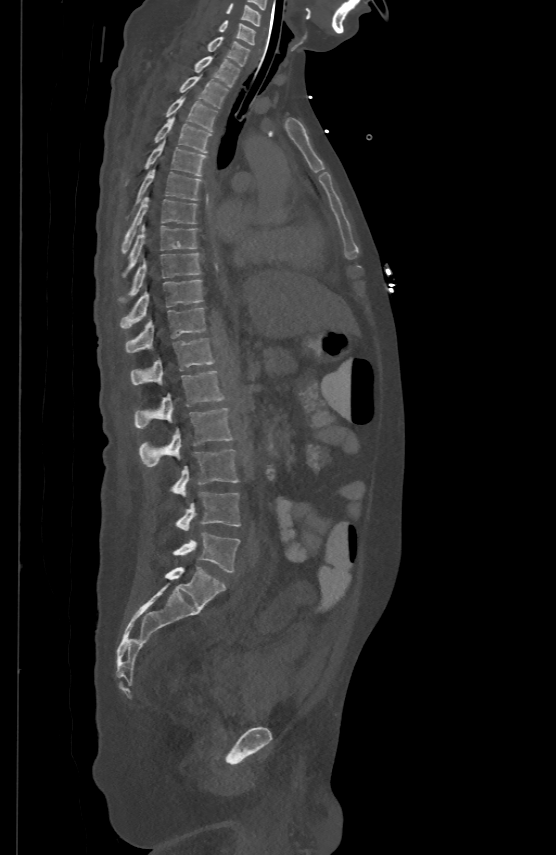

Spine computed tomography · sagittal reformat · W/L 1800/400 HU · 556x855 px
In the table, x1 and y1 are a box's top-left corner and x2 and y2 its bottom-right corner, in pixels.
| vertebra | x1 | y1 | x2 | y2 |
|---|---|---|---|---|
| C5 | 227 | 2 | 261 | 24 |
| C6 | 217 | 20 | 255 | 43 |
| C7 | 207 | 35 | 249 | 65 |
| T1 | 194 | 55 | 239 | 85 |
| T2 | 180 | 73 | 228 | 106 |
| T3 | 166 | 94 | 217 | 130 |
| T4 | 154 | 115 | 211 | 152 |
| T5 | 145 | 139 | 205 | 175 |
| T6 | 137 | 167 | 200 | 201 |
| T7 | 122 | 195 | 196 | 252 |
| T8 | 125 | 223 | 196 | 274 |
| T9 | 130 | 252 | 200 | 293 |
| T10 | 120 | 279 | 202 | 328 |
| T11 | 126 | 306 | 205 | 351 |
| T12 | 131 | 337 | 214 | 383 |
| L1 | 135 | 370 | 224 | 429 |
| L2 | 139 | 407 | 232 | 466 |
| L3 | 169 | 450 | 238 | 495 |
| L4 | 175 | 492 | 240 | 530 |
| L5 | 173 | 532 | 240 | 572 |